CT, spine. sagittal reformat. bone window. scan covers 17 annotated vertebrae
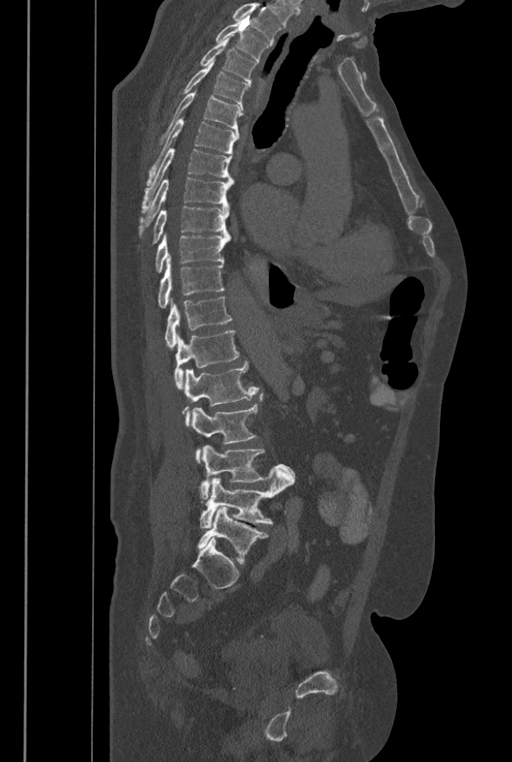
Boxes: x1 y1 x2 y2 (pixel coords, space-separated).
A vertebra cut off by the top edge of the scan is not labeled and has no box.
These labels give the spine a sixth lumbar vertebra, L6, below L5.
T2: 215 15 269 62
T3: 199 37 257 88
T4: 176 60 249 110
T5: 158 90 244 145
T6: 146 117 239 185
T7: 141 149 232 213
T8: 138 177 233 237
T9: 153 206 229 243
T10: 155 233 230 272
T11: 158 254 224 307
T12: 164 297 232 349
L1: 174 330 239 389
L2: 182 362 259 426
L3: 190 394 263 462
L4: 199 445 296 499
L5: 199 469 293 528
L6: 197 506 268 562